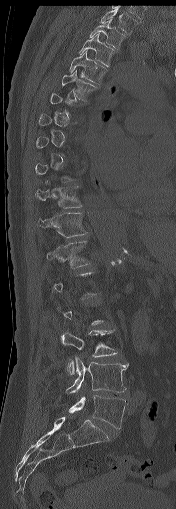
CT, spine · sagittal view
Boxes are (x1, y1, x2, y2) in pixels.
Not every vertebra on this slice has a box: a vertebra is boxed only from the first to the last slice where its cross-section is at least a third of its largest, and this slice is outside that range for at least one of them.
T1: (100, 8, 138, 35)
T2: (90, 18, 125, 50)
T3: (79, 33, 113, 66)
T4: (69, 49, 105, 84)
T5: (62, 70, 97, 101)
T10: (35, 182, 81, 207)
T11: (38, 213, 86, 237)
T12: (47, 241, 90, 268)
L3: (60, 329, 117, 374)
L4: (65, 355, 129, 393)
L5: (68, 395, 125, 429)